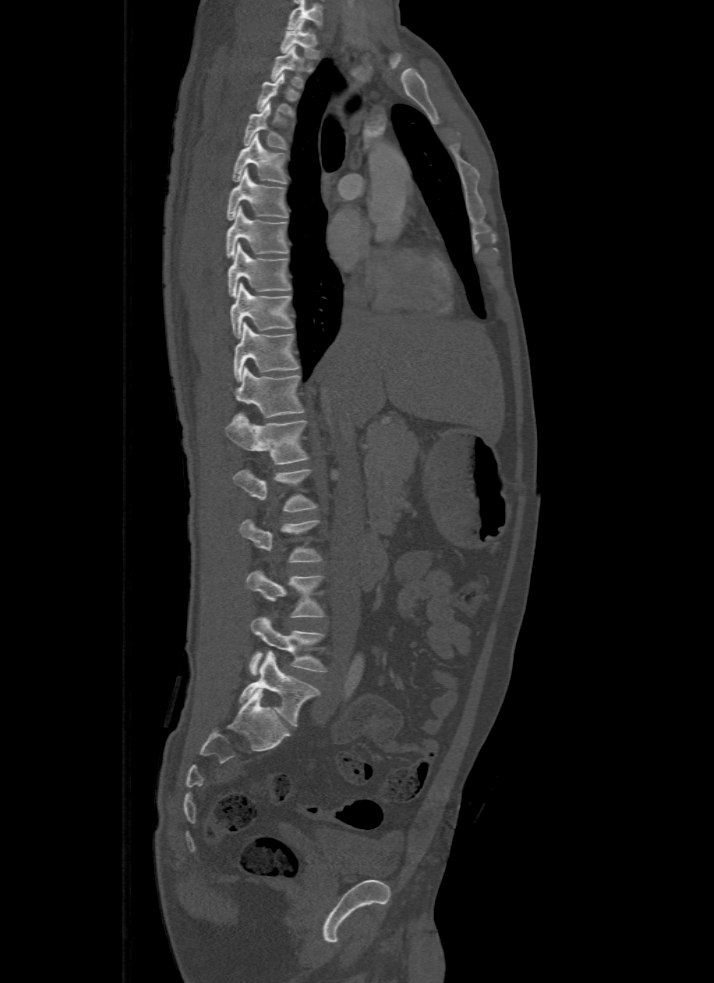

CT, spine · sagittal view · 500 mm image width
Boxes are (x1, y1, x2, y2) in pixels.
In this scan, the topmost labeled vertebra is T1 and the lowest is L5.
Vertebra bounding boxes:
- T1: (280, 19, 318, 58)
- T2: (272, 46, 303, 87)
- T3: (257, 73, 295, 117)
- T4: (243, 102, 288, 149)
- T5: (232, 133, 286, 183)
- T6: (227, 168, 288, 219)
- T7: (226, 206, 288, 257)
- T8: (227, 243, 291, 297)
- T9: (230, 282, 293, 337)
- T10: (233, 322, 299, 381)
- T11: (236, 366, 305, 417)
- T12: (226, 415, 309, 464)
- L1: (233, 469, 316, 511)
- L2: (240, 519, 321, 562)
- L3: (246, 570, 323, 617)
- L4: (250, 616, 325, 674)
- L5: (240, 652, 318, 725)